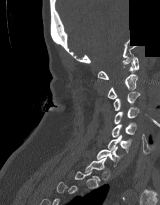

Spine CT — sagittal view — 160x205 px — part of the image is constant black where the scan was masked

A vertebra gets a box only on the slices from the first to the last where its cross-section is at least a third of its largest; on a slice outside that range it gets none.
<vertebrae><v name="T1" x1="84" y1="157" x2="106" y2="182"/><v name="C7" x1="96" y1="146" x2="122" y2="166"/><v name="C6" x1="107" y1="135" x2="132" y2="153"/><v name="C5" x1="111" y1="122" x2="136" y2="137"/><v name="C4" x1="114" y1="107" x2="139" y2="124"/><v name="C3" x1="113" y1="91" x2="140" y2="110"/><v name="C2" x1="107" y1="74" x2="137" y2="99"/><v name="C1" x1="97" y1="56" x2="138" y2="79"/></vertebrae>